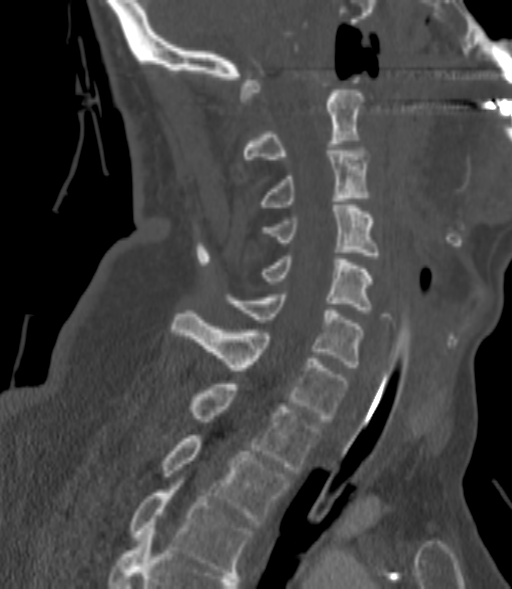
Spine computed tomography · sagittal reformat · bone-window reconstruction

Each box given as x1,y1,x2,y2.
Each vertebra is boxed only on the slices from the first to the last where its cross-section reaches a third of its largest, so a slice outside that range leaves it unboxed.
C2: x1=244, y1=90, x2=363, y2=159
C3: x1=257, y1=147, x2=369, y2=210
C4: x1=262, y1=205, x2=379, y2=258
C5: x1=244, y1=256, x2=371, y2=313
C6: x1=226, y1=294, x2=363, y2=367
C7: x1=172, y1=310, x2=348, y2=421
T1: x1=190, y1=384, x2=320, y2=473
T2: x1=162, y1=435, x2=289, y2=524
T3: x1=129, y1=483, x2=251, y2=575